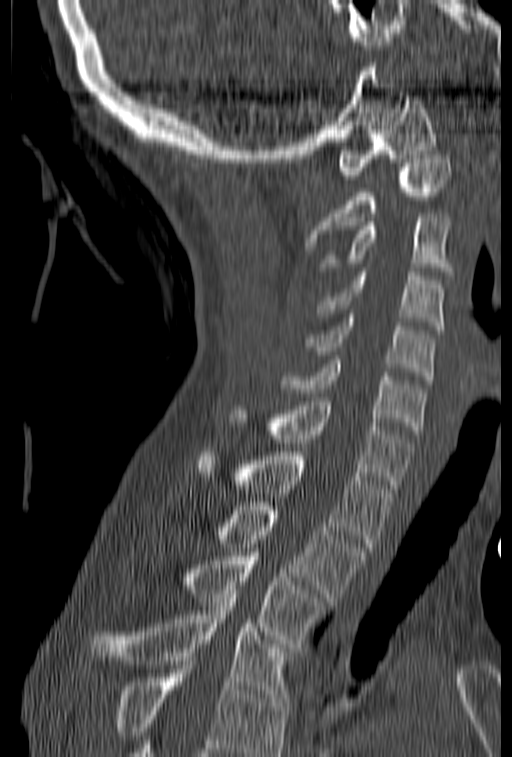 Spine computed tomography; sagittal view; bone-window reconstruction
Boxes: x1 y1 x2 y2 (pixel coords, space-separated).
Where the bottom of the scan cuts through a vertebra, that vertebra gets no label or box.
Vertebra bounding boxes:
- C1: 338 96 436 179
- C2: 304 155 449 246
- C3: 320 213 453 271
- C4: 316 268 443 329
- C5: 305 314 435 380
- C6: 278 360 425 434
- C7: 231 397 415 488
- T1: 198 452 395 547
- T2: 215 502 365 601
- T3: 185 552 328 647
- T4: 92 590 291 702